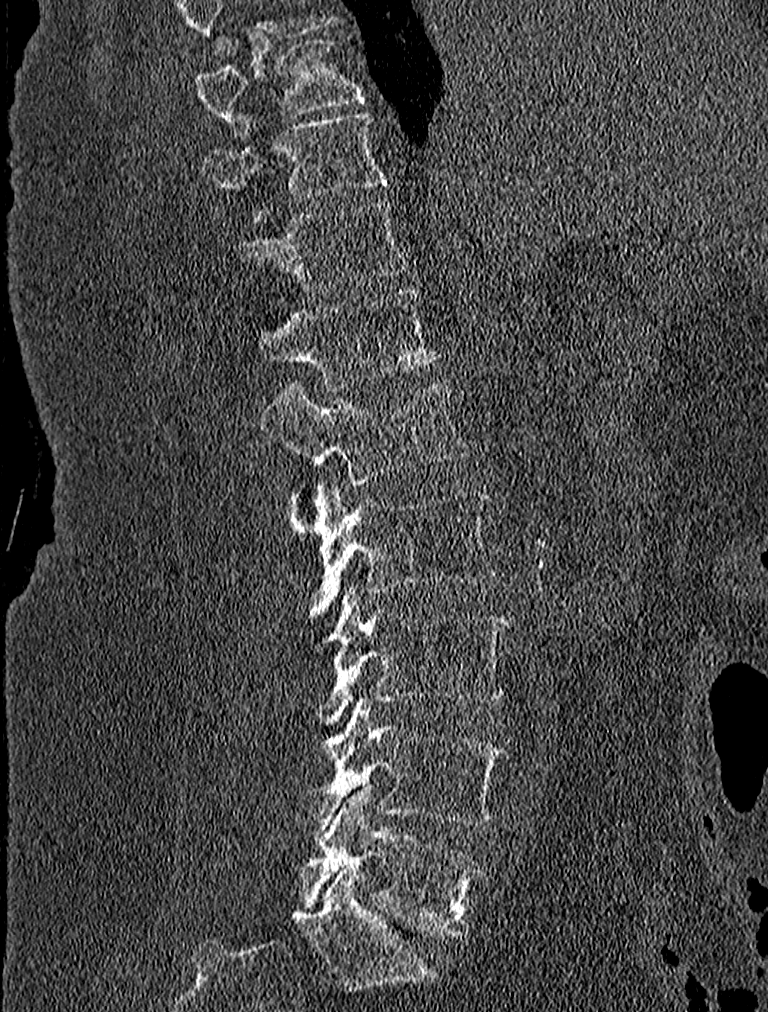 Computed tomography of the spine — sagittal view — bone-window reconstruction — 768x1012 px

Boxes: x1 y1 x2 y2 (pixel coords, space-separated).
Labels in this scan begin with T9 at the top and end with L5 at the bottom.
Vertebra bounding boxes:
- T9: 195 38 363 138
- T10: 204 111 387 221
- T11: 231 199 404 293
- T12: 256 288 438 389
- L1: 260 379 468 486
- L2: 286 481 499 617
- L3: 310 588 509 718
- L4: 295 699 507 833
- L5: 300 787 485 938